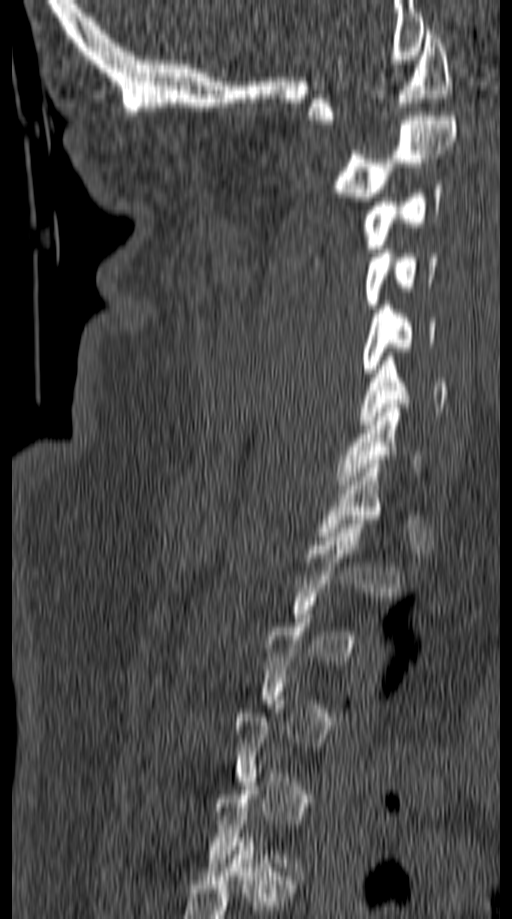

CT, spine. the image is 149 mm wide. sagittal view

Coordinates as <box>x1,y1,x2,y2</box>. Each vertebra is boxed only on the slices from the first to the last where its cross-section reaches a third of its largest, so a slice outside that range leaves it unboxed. Vertebrae labeled: C1 at <box>307,30,453,124</box>, C2 at <box>327,116,457,201</box>, C3 at <box>314,185,443,270</box>, C4 at <box>365,249,440,308</box>, C5 at <box>362,301,436,373</box>, C6 at <box>359,357,446,424</box>, C7 at <box>334,404,425,489</box>.